Computed tomography of the spine; sagittal reformat; 512x923 px
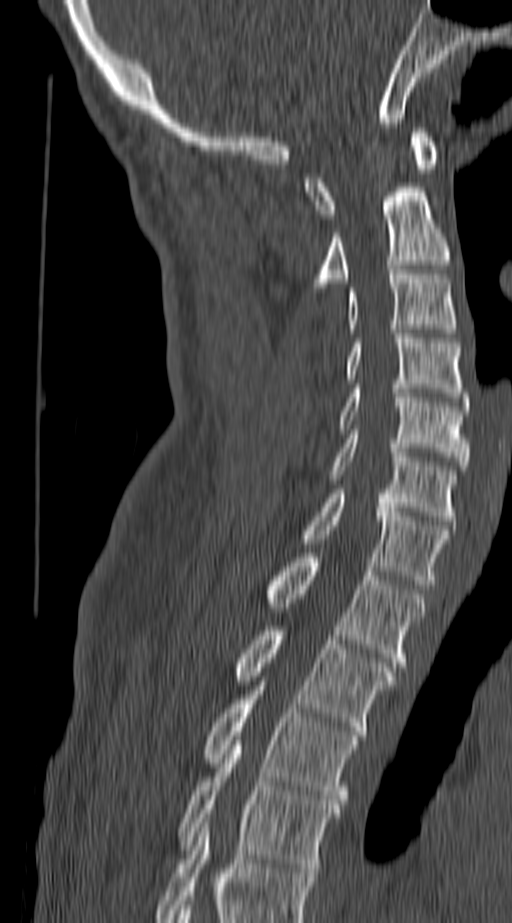

This scan's labels start at C1 at the top and end at T4 at the bottom.
<vertebrae><v name="C1" x1="305" y1="128" x2="439" y2="218"/><v name="C2" x1="312" y1="183" x2="450" y2="292"/><v name="C3" x1="349" y1="270" x2="457" y2="333"/><v name="C4" x1="345" y1="334" x2="468" y2="401"/><v name="C5" x1="338" y1="384" x2="468" y2="470"/><v name="C6" x1="330" y1="434" x2="457" y2="520"/><v name="C7" x1="301" y1="489" x2="450" y2="584"/><v name="T1" x1="265" y1="553" x2="425" y2="666"/><v name="T2" x1="235" y1="626" x2="395" y2="735"/><v name="T3" x1="202" y1="686" x2="359" y2="804"/><v name="T4" x1="177" y1="741" x2="340" y2="872"/></vertebrae>